CT, spine · Sagittal slice 198/512 · bone window · 140 mm wide · 512x782 px
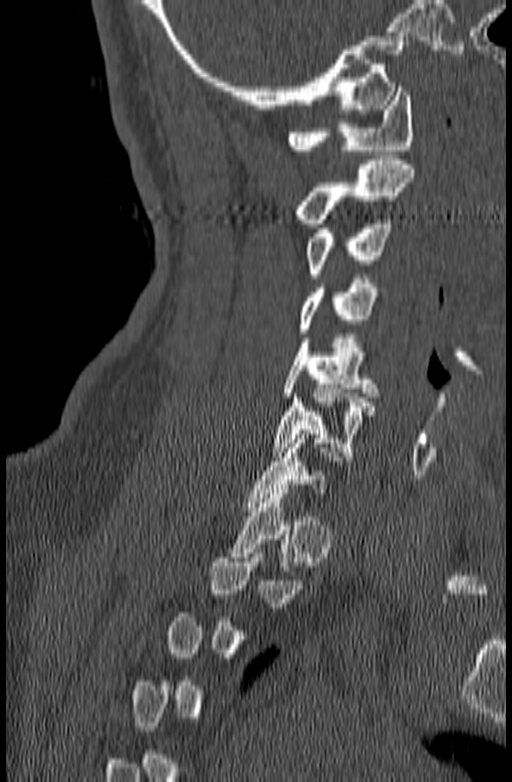 Boxes: x1 y1 x2 y2 (pixel coords, space-separated).
A vertebra gets a box only on the slices from the first to the last where its cross-section is at least a third of its largest; on a slice outside that range it gets none.
C1: 287 87 414 154
C2: 294 160 416 223
C3: 305 219 391 278
C4: 298 279 386 333
C5: 282 334 377 397
C6: 272 389 374 456
C7: 244 434 352 511